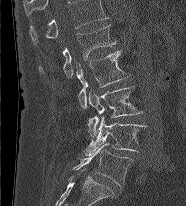

CT · sagittal view · bone window · 186x206 px · image width 186 mm
This scan's labels start at L1 at the top and end at L5 at the bottom.
<vertebrae><v name="L1" x1="39" y1="24" x2="116" y2="77"/><v name="L2" x1="76" y1="50" x2="130" y2="109"/><v name="L3" x1="87" y1="86" x2="142" y2="137"/><v name="L4" x1="85" y1="116" x2="147" y2="155"/><v name="L5" x1="73" y1="142" x2="132" y2="186"/></vertebrae>